Spine computed tomography — sagittal view
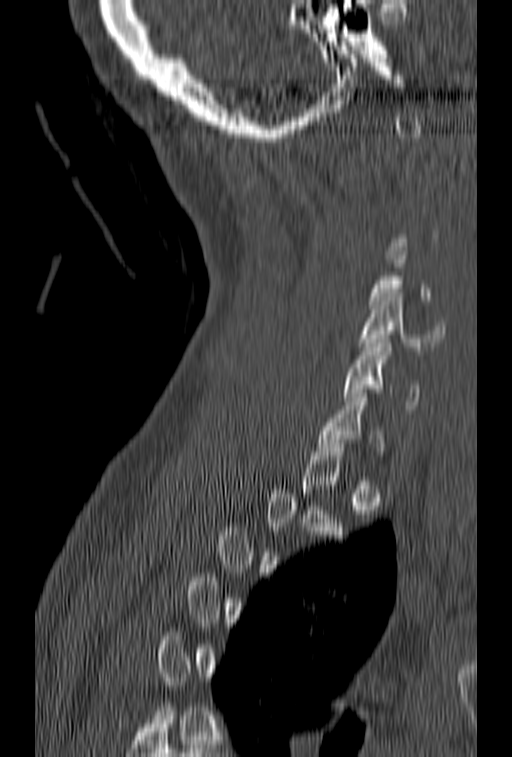 Boxes below are [x1, y1, x2, y2] in pixels.
Not every vertebra on this slice has a box: a vertebra is boxed only from the first to the last slice where its cross-section is at least a third of its largest, and this slice is outside that range for at least one of them.
{"vertebrae":{"C5":[359,293,444,350],"C6":[343,339,421,413],"C7":[316,389,382,451]}}